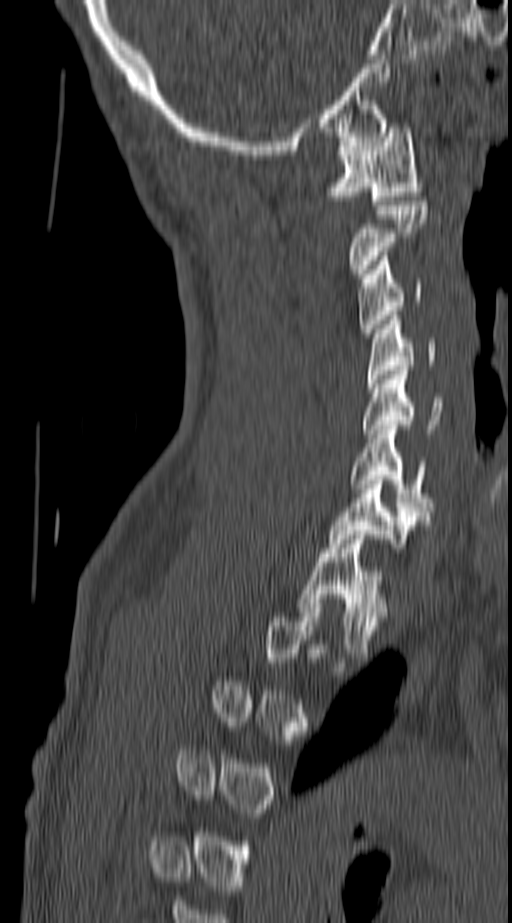 CT spine · sagittal view · 512x923 px

Boxes: x1:y1:x2:y2 in pixels.
A vertebra is boxed only from the first to the last slice where its cross-section is at least a third of its largest; slices outside that range leave it without a box.
Vertebra bounding boxes:
- T1: 298:530:388:657
- C7: 327:480:426:552
- C6: 350:425:432:511
- C5: 363:370:443:438
- C4: 367:315:436:388
- C3: 358:256:423:333
- C2: 349:201:428:273
- C1: 327:123:422:205